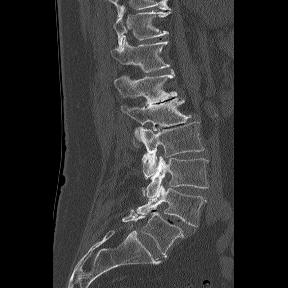 CT spine. sagittal reformat. bone-window reconstruction. 288x288 px

Boxes: x1:y1:x2:y2 in pixels. The highest labeled vertebra in this scan is T11; the lowest is L6. These labels give the spine a sixth lumbar vertebra, L6, below L5. 8 vertebrae labeled — T11 at 113:10:171:47; T12 at 111:36:170:72; L1 at 114:70:177:105; L2 at 121:98:191:147; L3 at 134:122:204:178; L4 at 142:156:208:197; L5 at 136:184:206:227; L6 at 122:210:183:257.